CT, spine; sagittal reformat; image 384 mm wide; bone window; 512x425 px
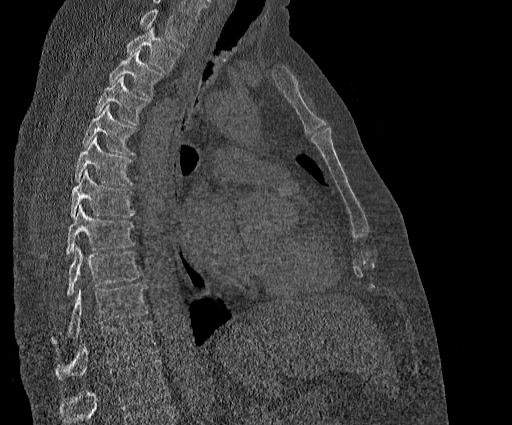

Boxes: x1 y1 x2 y2 (pixel coords, space-separated). No box is given to a vertebra that the top edge of the scan cuts off. This scan's labels start at T2 at the top and end at T11 at the bottom. The labeled vertebrae in this slice are: T2 at 125 28 181 72, T3 at 108 49 163 98, T4 at 94 76 148 124, T5 at 82 104 136 155, T6 at 74 136 132 186, T7 at 70 169 135 216, T8 at 65 204 135 255, T9 at 66 247 141 298, T10 at 50 284 148 344, T11 at 54 321 157 379.